CT spine · sagittal view · 8 vertebrae labeled in this scan
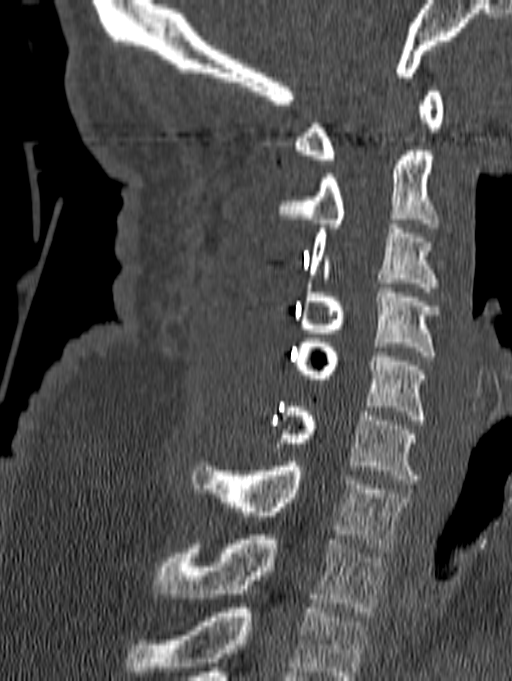

Boxes: x1:y1:x2:y2 in pixels.
In this scan, the topmost labeled vertebra is C1 and the lowest is T1.
Vertebra bounding boxes:
- C1: 295:87:443:164
- C2: 276:151:438:228
- C3: 309:224:436:292
- C4: 299:283:443:360
- C5: 294:338:425:424
- C6: 271:407:418:484
- C7: 192:462:410:552
- T1: 155:535:385:616